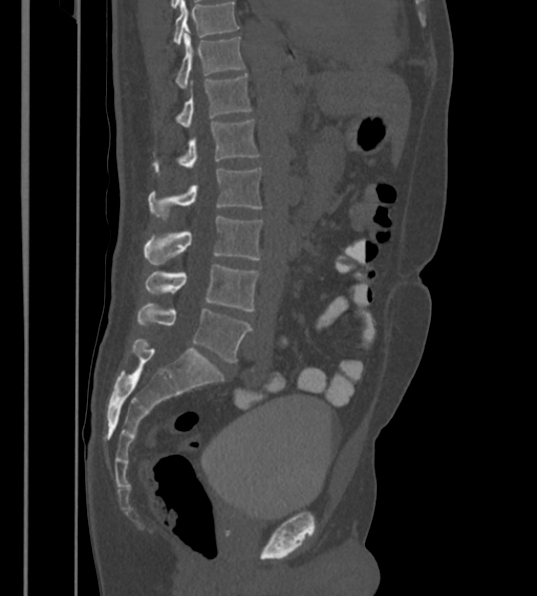
CT spine — sagittal view — the image is 430 mm wide — bone window
Labels in this scan begin with T12 at the top and end with L6 at the bottom.
In these labels the spine has an L6, a sixth lumbar vertebra below L5.
<vertebrae><v name="T12" x1="176" y1="36" x2="245" y2="89"/><v name="L1" x1="176" y1="74" x2="252" y2="128"/><v name="L2" x1="154" y1="119" x2="259" y2="171"/><v name="L3" x1="149" y1="167" x2="261" y2="218"/><v name="L4" x1="145" y1="216" x2="262" y2="265"/><v name="L5" x1="145" y1="264" x2="259" y2="311"/><v name="L6" x1="137" y1="302" x2="252" y2="363"/></vertebrae>